CT, spine; sagittal plane, index 134; scan covers 8 annotated vertebrae; a region is blanked to uniform black, ending in a straight edge
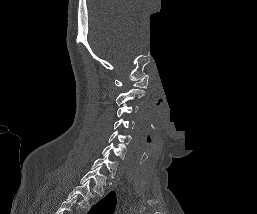

Coordinates as <box>x1,y1,x2,y2</box>. Labels in this scan begin with C1 at the top and end with T1 at the bottom. The labeled vertebrae in this slice are: C1 at <box>114,74,148,88</box>, C2 at <box>115,89,144,105</box>, C3 at <box>116,104,138,117</box>, C4 at <box>113,119,134,129</box>, C5 at <box>108,131,132,144</box>, C6 at <box>102,143,126,159</box>, C7 at <box>90,153,118,178</box>, T1 at <box>80,166,107,196</box>.